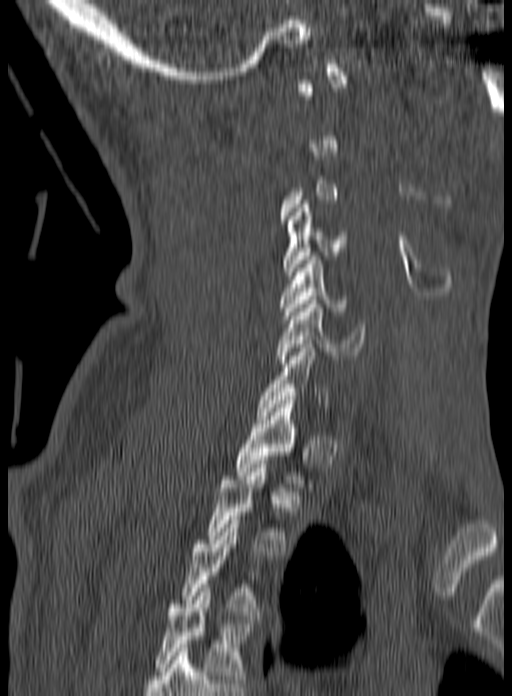
Spine CT — sagittal view — 512x696 px — 160 mm wide

Box edges are left/top/right/bottom in pixels.
A vertebra is boxed only from the first to the last slice where its cross-section is at least a third of its largest; slices outside that range leave it without a box.
Labels in this scan begin with C1 at the top and end with T3 at the bottom.
T3: left=184, top=516, right=260, bottom=619
T2: left=206, top=464, right=287, bottom=555
T1: left=235, top=400, right=311, bottom=491
C6: left=275, top=300, right=366, bottom=363
C5: left=280, top=256, right=349, bottom=319
C4: left=283, top=204, right=347, bottom=279